CT spine. sagittal plane, index 257. scan covers 16 annotated vertebrae
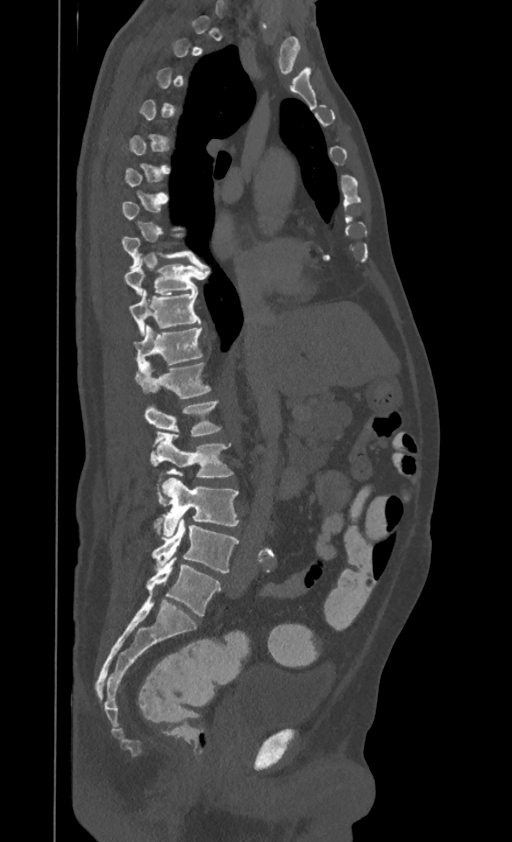

Each box given as x1,y1,x2,y2. A vertebra is boxed only from the first to the last slice where its cross-section is at least a third of its largest; slices outside that range leave it without a box. In this scan, the topmost labeled vertebra is T1 and the lowest is L4. Vertebrae labeled: T8 at x1=122, y1=236, x2=197, y2=268, T9 at x1=124, y1=255, x2=205, y2=294, T10 at x1=129, y1=289, x2=201, y2=335, T11 at x1=133, y1=325, x2=202, y2=364, T12 at x1=135, y1=362, x2=210, y2=398, L1 at x1=145, y1=400, x2=221, y2=435, L2 at x1=152, y1=432, x2=232, y2=483, L3 at x1=154, y1=478, x2=239, y2=537, L4 at x1=152, y1=517, x2=239, y2=573.